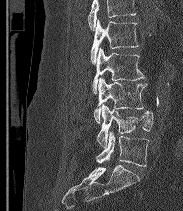
CT, spine · sagittal view
Each row gives a vertebra's box as x1, y1, x2, y2 in pixels: top-left corner, then bottom-right corner.
Vertebrae that run past the top of the scan are left unlabeled.
These labels give the spine a sixth lumbar vertebra, L6, below L5.
| vertebra | x1 | y1 | x2 | y2 |
|---|---|---|---|---|
| L2 | 90 | 19 | 138 | 64 |
| L3 | 92 | 48 | 144 | 93 |
| L4 | 93 | 77 | 147 | 123 |
| L5 | 96 | 105 | 153 | 147 |
| L6 | 96 | 131 | 148 | 166 |